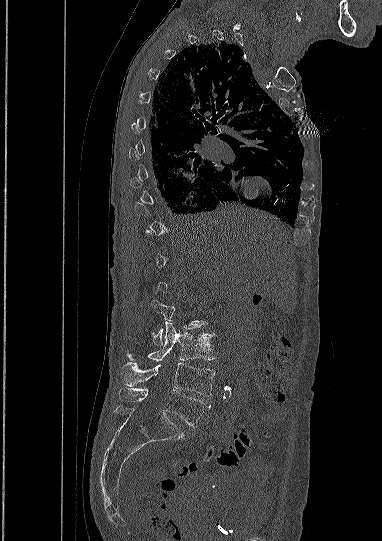

CT · sagittal reformat · bone window · 382x541 px

Boxes: x1:y1:x2:y2 in pixels.
Not every vertebra on this slice has a box: a vertebra is boxed only from the first to the last slice where its cross-section is at least a third of its largest, and this slice is outside that range for at least one of them.
Vertebra bounding boxes:
- L2: 151:300:203:345
- L3: 127:322:213:362
- L4: 122:362:215:396
- L5: 119:387:210:426